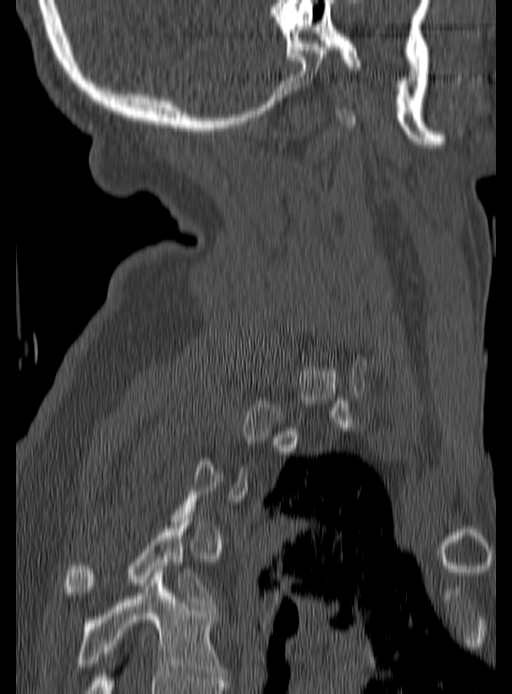 Spine computed tomography. sagittal view. image 190 mm wide. 512x694 px

Boxes: x1 y1 x2 y2 (pixel coords, space-separated). A vertebra is boxed only from the first to the last slice where its cross-section is at least a third of its largest; slices outside that range leave it without a box. 2 vertebrae labeled — T4 at 63 522 213 609; T5 at 76 569 224 679.